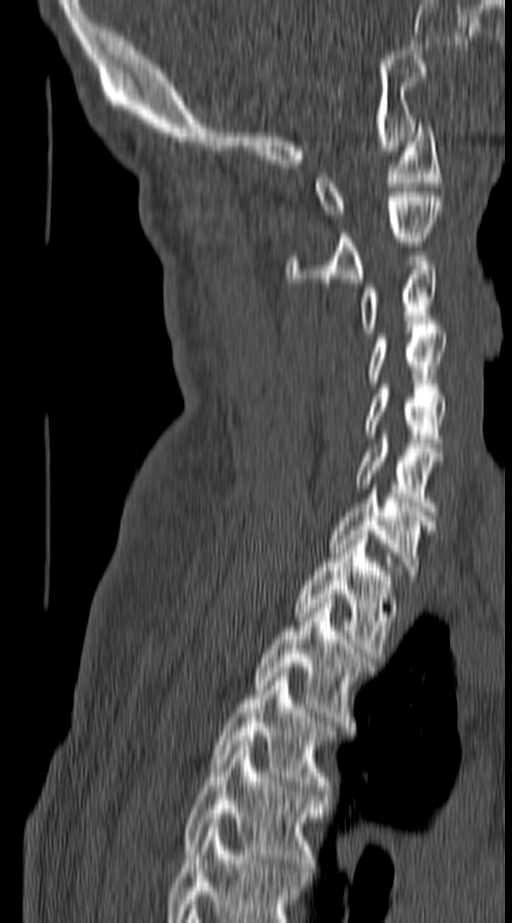 CT, spine · sagittal reformat · bone-window reconstruction · image 140 mm wide
Boxes: x1:y1:x2:y2 in pixels. In this scan, the topmost labeled vertebra is C1 and the lowest is T4. Vertebrae labeled: C1 at 316:123:441:218, C2 at 287:192:442:282, C3 at 360:256:437:333, C4 at 367:329:447:383, C5 at 363:384:447:452, C6 at 356:434:444:511, C7 at 330:489:436:584, T1 at 294:535:395:657, T2 at 254:599:374:726, T3 at 210:672:337:794, T4 at 181:741:329:872.